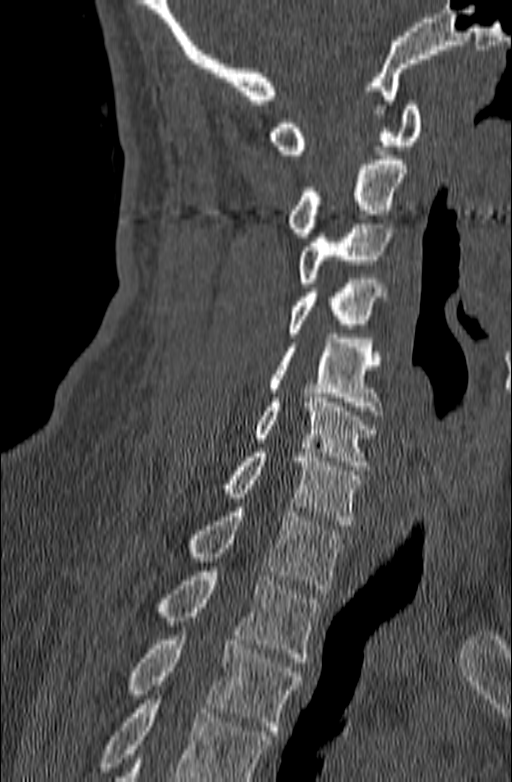 CT spine — image width 140 mm — sagittal reformat
Vertebrae that run past the bottom of the scan are left unlabeled.
<vertebrae><v name="C1" x1="268" y1="101" x2="421" y2="154"/><v name="C2" x1="287" y1="160" x2="406" y2="237"/><v name="C3" x1="298" y1="219" x2="393" y2="287"/><v name="C4" x1="287" y1="279" x2="386" y2="337"/><v name="C5" x1="268" y1="334" x2="383" y2="415"/><v name="C6" x1="254" y1="393" x2="377" y2="470"/><v name="C7" x1="221" y1="448" x2="362" y2="525"/><v name="T1" x1="188" y1="507" x2="345" y2="593"/><v name="T2" x1="156" y1="571" x2="319" y2="662"/><v name="T3" x1="129" y1="631" x2="302" y2="735"/></vertebrae>